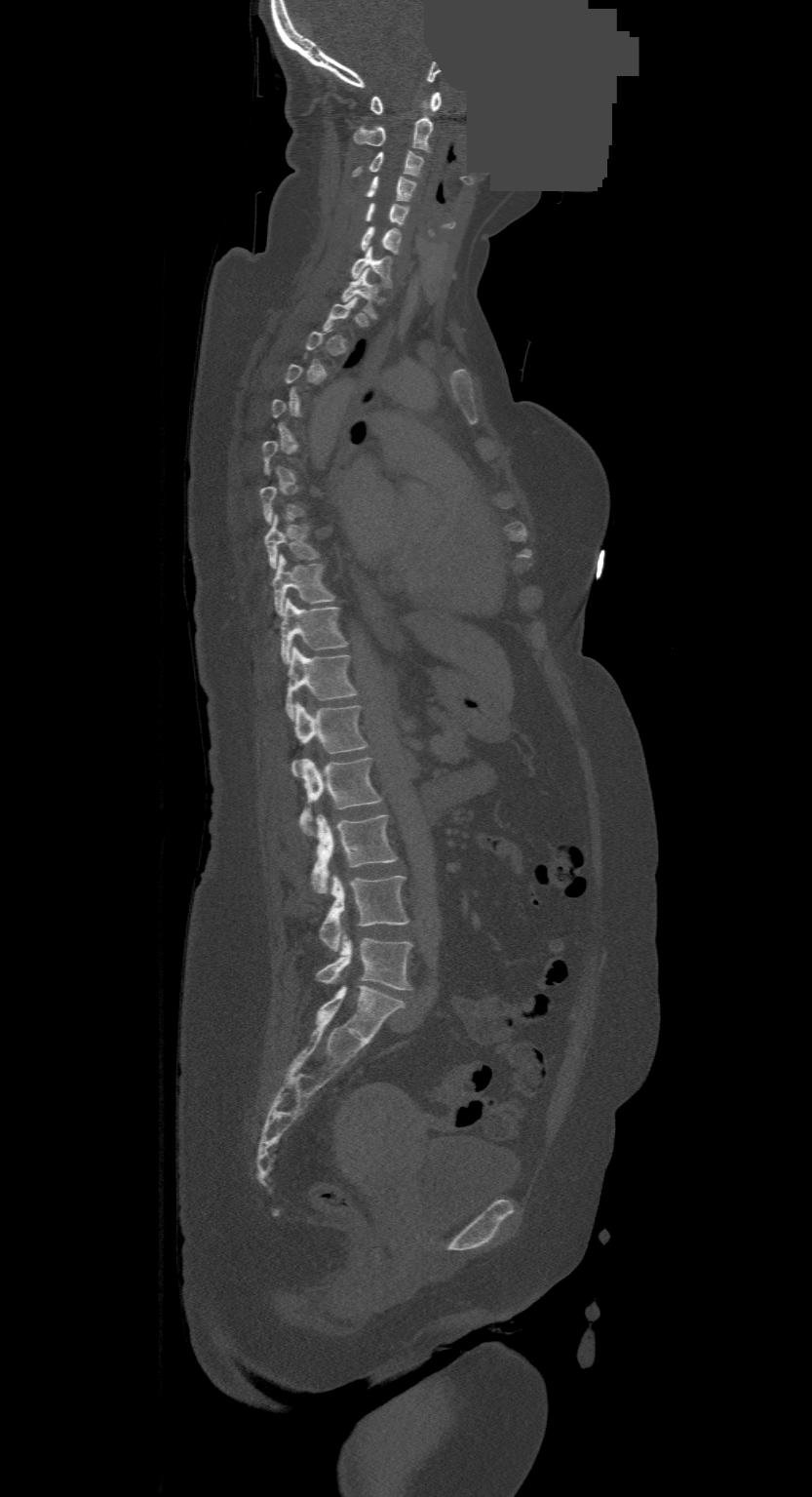

Spine CT; image width 500 mm; sagittal view; a portion of the image is blanked out (constant pixel value)

Boxes: x1:y1:x2:y2 in pixels.
A vertebra gets a box only on the slices from the first to the last where its cross-section is at least a third of its largest; on a slice outside that range it gets none.
This scan's labels start at C1 at the top and end at L4 at the bottom.
L4: 318:933:411:989
L3: 321:875:408:950
L2: 311:814:398:891
L1: 298:758:381:833
T12: 290:702:366:774
T11: 286:648:356:718
T10: 281:599:346:662
T9: 273:555:333:615
T8: 265:514:320:569
T1: 341:268:378:318
C7: 351:248:391:287
C6: 360:226:402:255
C5: 365:204:408:225
C4: 365:176:416:201
C3: 352:151:423:177
C2: 354:104:432:152
C1: 369:92:442:115